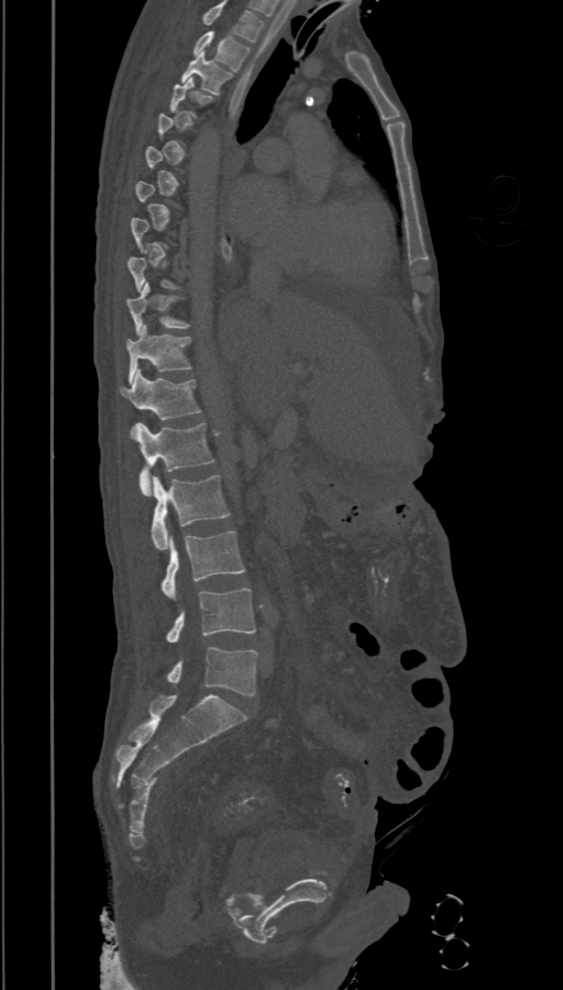 Spine CT; sagittal view; 563x990 px
Bounding boxes as [x1, y1, x2, y2] in pixel coordinates.
Each vertebra is boxed only on the slices from the first to the last where its cross-section reaches a third of its largest, so a slice outside that range leaves it unboxed.
Labels in this scan begin with T2 at the top and end with L5 at the bottom.
Vertebra bounding boxes:
- T2: [192, 30, 251, 70]
- T3: [181, 52, 233, 95]
- T10: [125, 282, 189, 334]
- T11: [126, 325, 191, 383]
- T12: [120, 370, 200, 420]
- L1: [131, 423, 214, 496]
- L2: [152, 475, 230, 550]
- L3: [162, 530, 244, 599]
- L4: [166, 587, 256, 642]
- L5: [166, 647, 257, 696]